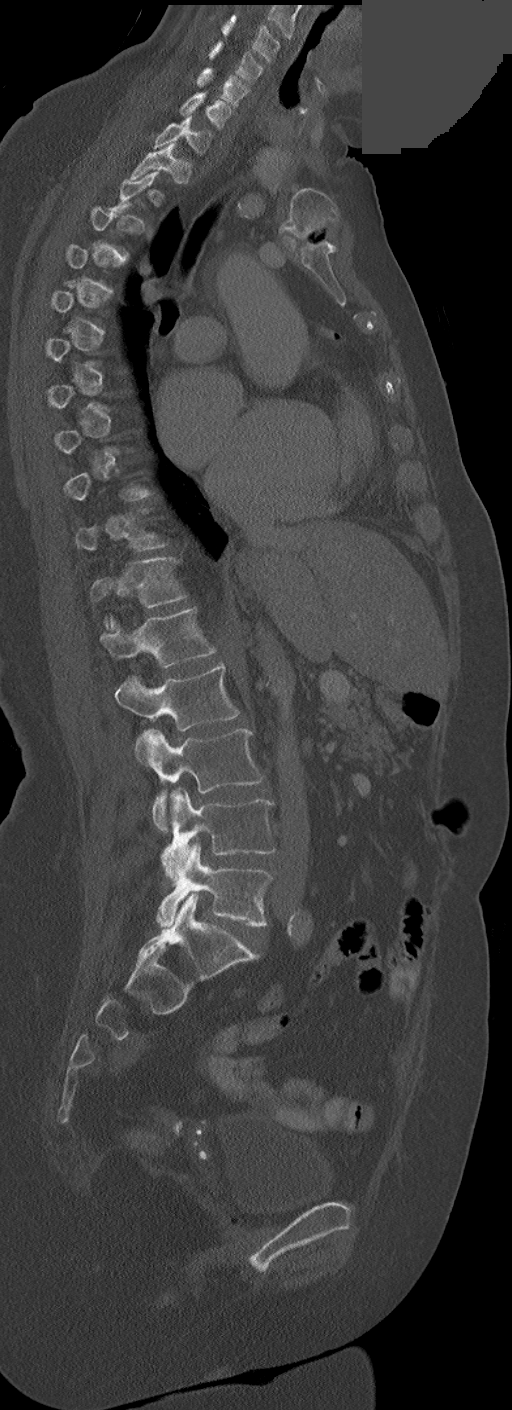

Computed tomography of the spine · sagittal view · 512x1410 px · an area of the scan was removed and filled with constant pixels
Coordinates as <box>x1,y1,x2,y2</box>.
A vertebra gets a box only on the slices from the first to the last where its cross-section is at least a third of its largest; on a slice outside that range it gets none.
In these labels the spine has no T12: the thoracic vertebrae end at T11, and L1 comes next.
Vertebra bounding boxes:
- C3: <box>221,15,280,62</box>
- C4: <box>210,41,264,81</box>
- C5: <box>196,68,247,105</box>
- C6: <box>179,92,231,128</box>
- C7: <box>154,115,211,154</box>
- T1: <box>131,143,180,179</box>
- T11: <box>92,557,186,607</box>
- L1: <box>100,608,215,668</box>
- L2: <box>114,663,239,731</box>
- L3: <box>137,728,264,830</box>
- L4: <box>161,787,276,881</box>
- L5: <box>157,842,272,928</box>